CT. sagittal plane, index 78. W/L 1800/400 HU
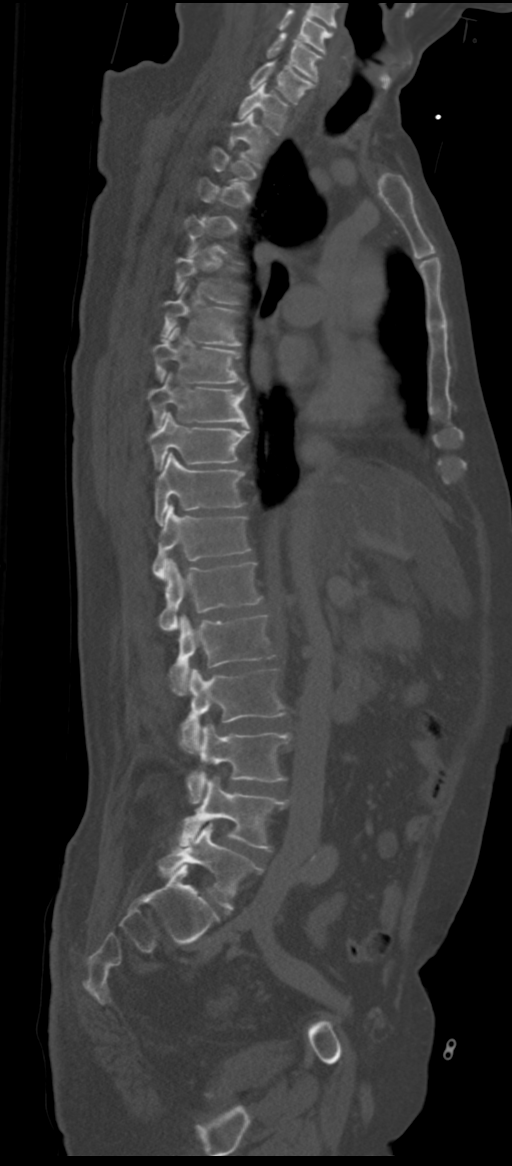
Boxes are given in columns x1, y1, x2, y2, the pixel coordinates of their top-left and bottom-right corners.
A vertebra is boxed only from the first to the last slice where its cross-section is at least a third of its largest; slices outside that range leave it without a box.
In these labels the spine has an L6, a sixth lumbar vertebra below L5.
| vertebra | x1 | y1 | x2 | y2 |
|---|---|---|---|---|
| L6 | 158 | 824 | 263 | 910 |
| L5 | 180 | 776 | 286 | 849 |
| L4 | 186 | 723 | 289 | 803 |
| L3 | 181 | 669 | 284 | 752 |
| L2 | 170 | 615 | 274 | 696 |
| L1 | 158 | 559 | 261 | 630 |
| T12 | 152 | 504 | 251 | 577 |
| T11 | 155 | 453 | 245 | 525 |
| T10 | 148 | 412 | 250 | 469 |
| T9 | 147 | 374 | 250 | 428 |
| T8 | 152 | 325 | 243 | 383 |
| T7 | 162 | 289 | 240 | 345 |
| T6 | 175 | 254 | 238 | 304 |
| T2 | 229 | 112 | 263 | 166 |
| T1 | 239 | 83 | 287 | 134 |
| C7 | 249 | 61 | 312 | 103 |
| C6 | 267 | 33 | 320 | 80 |
| C5 | 279 | 9 | 332 | 52 |